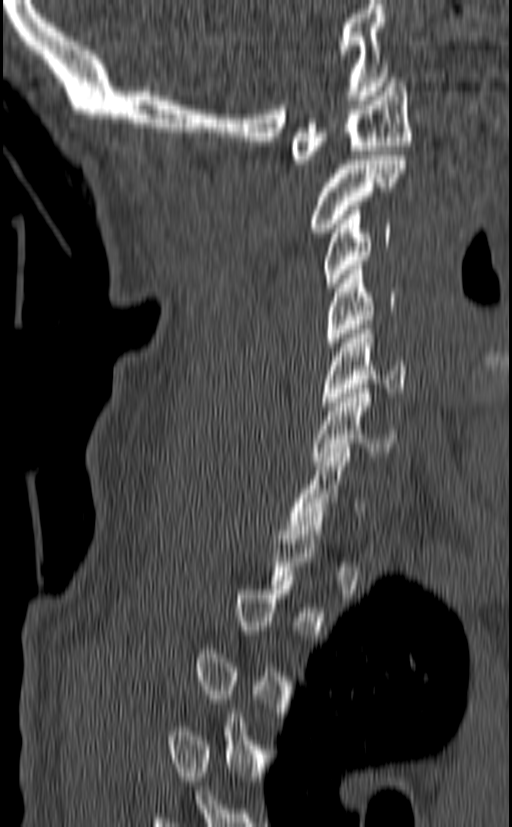

CT spine. sagittal view. Bone window (WL 400, WW 1800). 512x827 px
A vertebra is boxed only from the first to the last slice where its cross-section is at least a third of its largest; slices outside that range leave it without a box.
<vertebrae><v name="C1" x1="290" y1="78" x2="412" y2="168"/><v name="C2" x1="309" y1="155" x2="406" y2="232"/><v name="C3" x1="324" y1="206" x2="392" y2="287"/><v name="C4" x1="323" y1="265" x2="397" y2="346"/><v name="C5" x1="320" y1="325" x2="406" y2="406"/><v name="C6" x1="312" y1="384" x2="398" y2="465"/><v name="C7" x1="287" y1="448" x2="363" y2="534"/></vertebrae>